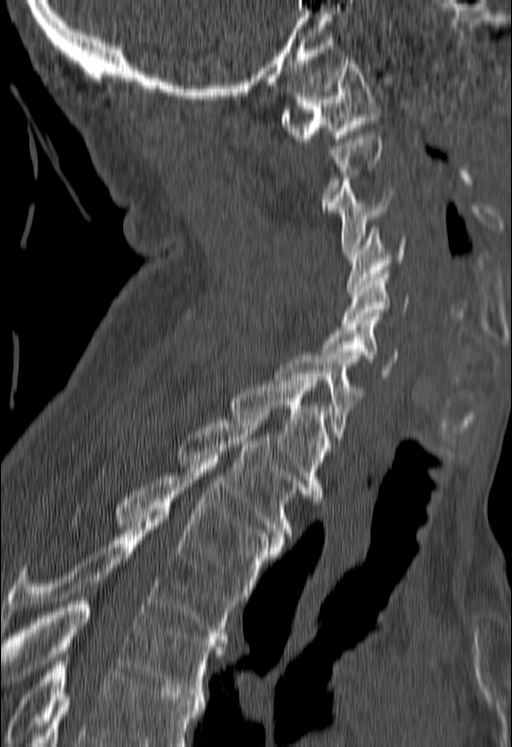
Spine computed tomography. sagittal view. 512x747 px
Not every vertebra on this slice has a box: a vertebra is boxed only from the first to the last slice where its cross-section is at least a third of its largest, and this slice is outside that range for at least one of them.
Vertebrae that run past the bottom of the scan are left unlabeled.
<vertebrae><v name="T5" x1="1" y1="597" x2="225" y2="696"/><v name="T4" x1="0" y1="516" x2="239" y2="643"/><v name="T3" x1="115" y1="459" x2="282" y2="596"/><v name="T2" x1="177" y1="416" x2="307" y2="539"/><v name="T1" x1="228" y1="377" x2="332" y2="497"/><v name="C7" x1="274" y1="356" x2="364" y2="440"/><v name="C6" x1="321" y1="316" x2="398" y2="376"/><v name="C5" x1="341" y1="270" x2="409" y2="326"/><v name="C4" x1="347" y1="228" x2="406" y2="291"/><v name="C3" x1="329" y1="178" x2="391" y2="255"/><v name="C1" x1="280" y1="57" x2="380" y2="141"/></vertebrae>